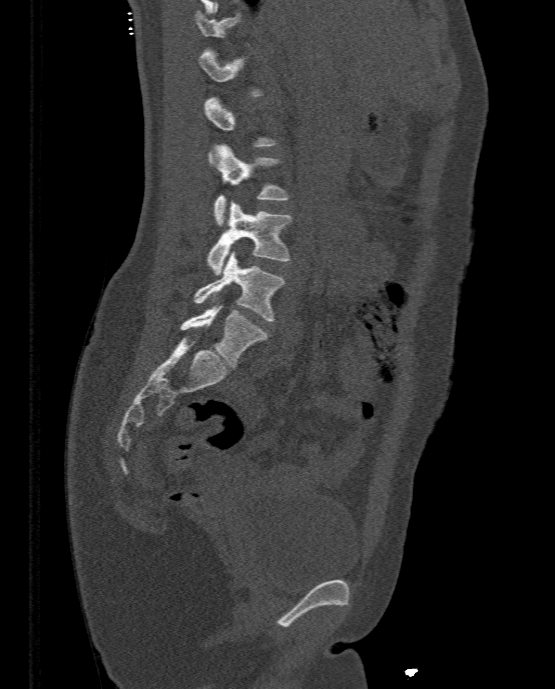

CT spine — sagittal view — bone-window reconstruction — 555x689 px

Boxes: x1:y1:x2:y2 in pixels. A vertebra is boxed only from the first to the last slice where its cross-section is at least a third of its largest; slices outside that range leave it without a box. Vertebrae labeled: L2 at 214:144:288:226, L3 at 206:201:292:274, L4 at 193:250:285:321, L5 at 180:305:267:368.